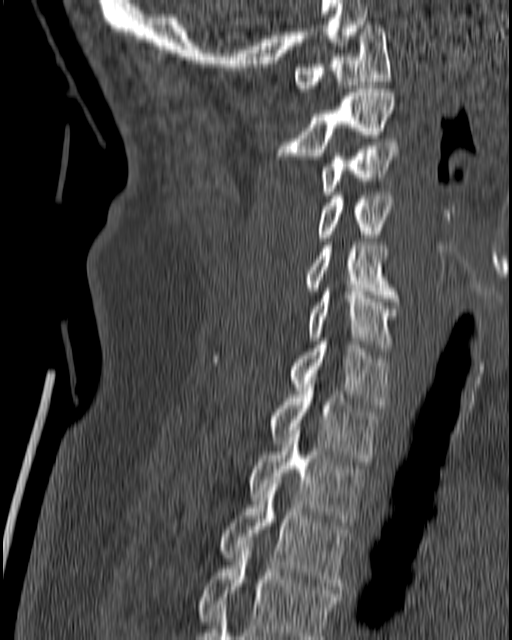
CT. sagittal reformat. bone window. 512x640 px. Boxes are (x1, y1, x2, y2) in pixels.
Vertebra bounding boxes:
- T4: (197, 544, 339, 639)
- T3: (220, 480, 350, 589)
- T2: (248, 430, 364, 529)
- T1: (271, 388, 378, 461)
- C7: (291, 338, 390, 408)
- C6: (308, 288, 398, 351)
- C5: (305, 242, 398, 301)
- C4: (317, 192, 394, 241)
- C3: (321, 142, 398, 195)
- C2: (275, 89, 396, 159)
- C1: (293, 21, 390, 91)